Computed tomography of the spine; sagittal plane, index 352
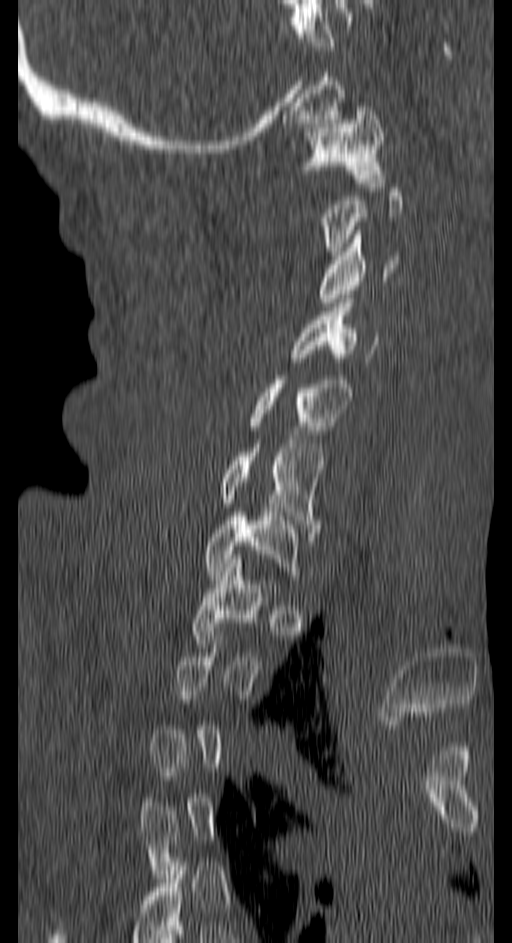 Each row gives a vertebra's box as x1, y1, x2, y2 in pixels: top-left corner, then bottom-right corner.
Each vertebra is boxed only on the slices from the first to the last where its cross-section reaches a third of its largest, so a slice outside that range leaves it unboxed.
| vertebra | x1 | y1 | x2 | y2 |
|---|---|---|---|---|
| T1 | 189 | 559 | 277 | 652 |
| C7 | 203 | 512 | 301 | 584 |
| C6 | 216 | 444 | 321 | 537 |
| C5 | 244 | 375 | 352 | 438 |
| C4 | 291 | 303 | 376 | 366 |
| C3 | 319 | 230 | 398 | 302 |
| C1 | 302 | 102 | 383 | 182 |